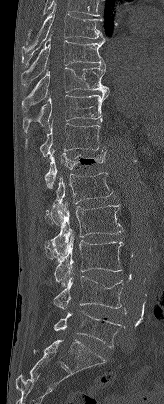 CT. sagittal view. image width 164 mm. bone window. 164x404 px. Boxes are (x1, y1, x2, y2) in pixels.
Vertebra bounding boxes:
- L5: (54, 311, 122, 348)
- L4: (53, 271, 123, 309)
- L3: (54, 232, 123, 286)
- L2: (45, 202, 123, 259)
- L1: (45, 172, 112, 226)
- T12: (44, 148, 106, 187)
- T11: (24, 123, 104, 156)
- T10: (22, 93, 108, 132)
- T9: (21, 64, 109, 112)
- T8: (21, 34, 105, 87)
- T7: (22, 3, 106, 66)